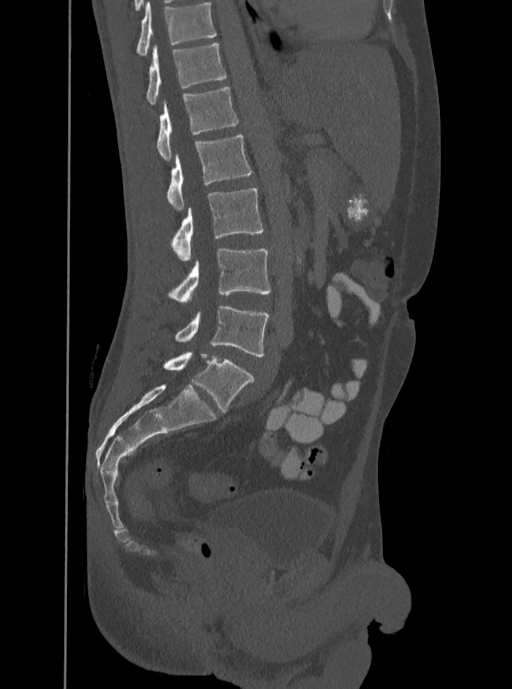
CT, spine; sagittal view; Bone window (WL 400, WW 1800)
Boxes: x1:y1:x2:y2 in pixels.
The highest labeled vertebra in this scan is T12; the lowest is L5.
Vertebra bounding boxes:
- T12: 146:43:226:104
- L1: 156:86:239:161
- L2: 167:134:252:211
- L3: 171:188:264:261
- L4: 168:249:271:303
- L5: 175:305:269:357